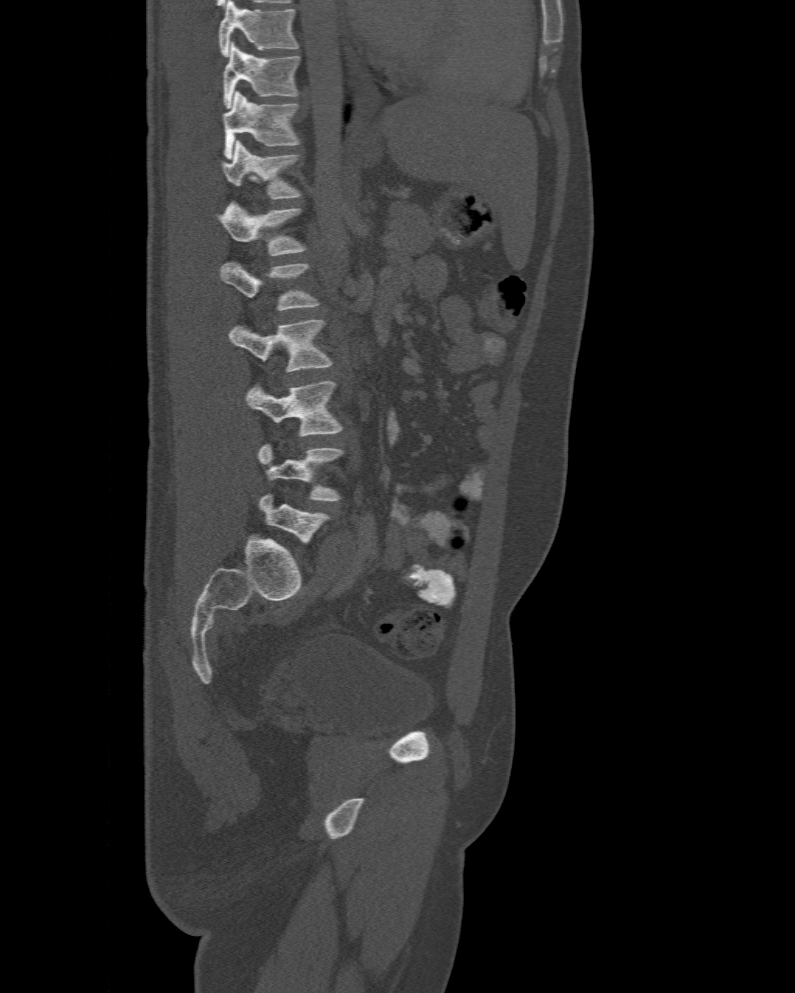 CT, spine. sagittal view

In the table, x1 and y1 are a box's top-left corner and x2 and y2 its bottom-right corner, in pixels.
This scan's labels start at T10 at the top and end at L6 at the bottom.
These labels give the spine a sixth lumbar vertebra, L6, below L5.
| vertebra | x1 | y1 | x2 | y2 |
|---|---|---|---|---|
| L6 | 258 | 493 | 328 | 542 |
| L5 | 258 | 443 | 342 | 501 |
| L4 | 247 | 380 | 342 | 436 |
| L3 | 228 | 320 | 333 | 371 |
| L2 | 220 | 262 | 319 | 311 |
| L1 | 219 | 201 | 308 | 256 |
| T12 | 220 | 140 | 300 | 199 |
| T11 | 224 | 92 | 300 | 159 |
| T10 | 224 | 42 | 299 | 107 |